Spine computed tomography · sagittal view · 512x774 px
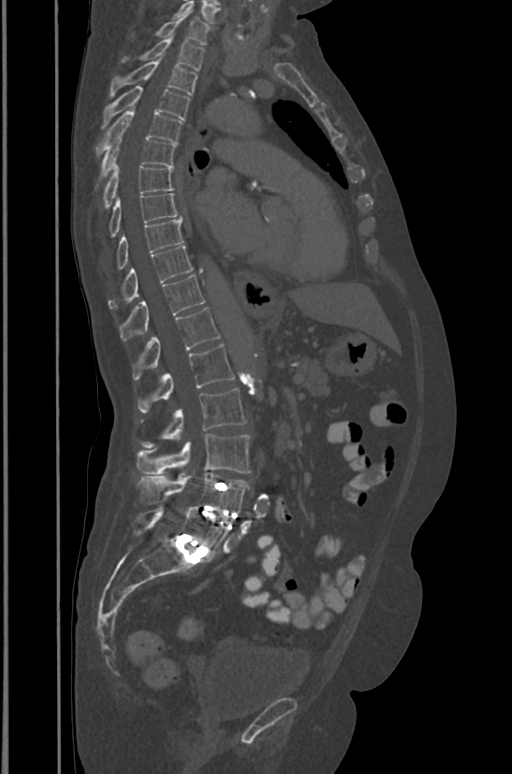 Boxes below are [x1, y1, x2, y2] in pixels.
{"vertebrae":{"L5":[131,505,228,556],"L4":[137,473,249,512],"L3":[136,434,250,474],"L2":[141,389,245,448],"L1":[137,344,235,412],"T12":[132,307,219,380],"T11":[119,275,205,341],"T10":[109,245,193,309],"T9":[116,219,182,268],"T8":[109,193,177,237],"T7":[103,165,173,208],"T6":[97,134,176,186],"T5":[96,107,182,155],"T4":[103,86,190,127],"T3":[110,59,197,97],"T2":[122,38,203,70],"T1":[154,13,210,44]}}